Spine CT · sagittal view · 474 mm across the image · 18 vertebrae labeled in this scan
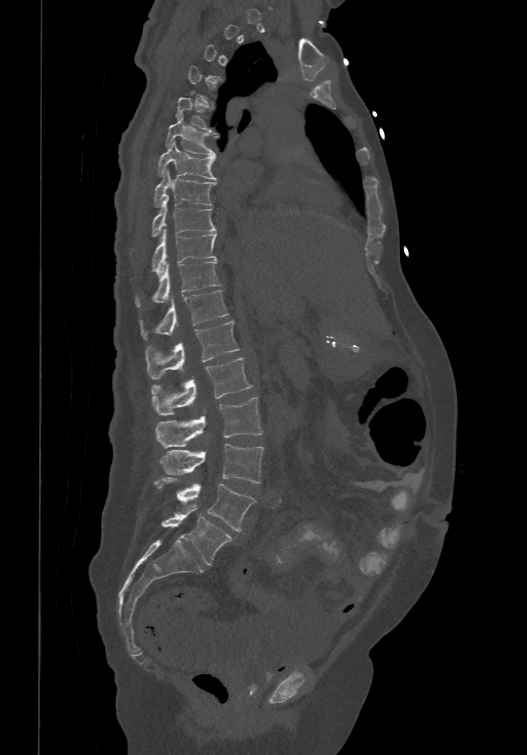
Boxes: x1 y1 x2 y2 (pixel coords, space-separated).
A vertebra is boxed only from the first to the last slice where its cross-section is at least a third of its largest; slices outside that range leave it without a box.
The labels name a sixth lumbar vertebra for this spine: L6, after L5.
Vertebra bounding boxes:
- T5: 175 96 217 133
- T6: 166 116 218 156
- T7: 157 141 217 179
- T8: 153 168 216 205
- T9: 130 194 216 253
- T10: 151 228 217 273
- T11: 135 258 221 306
- T12: 139 288 229 339
- L1: 145 320 240 378
- L2: 151 356 252 415
- L3: 155 397 262 447
- L4: 158 444 263 483
- L5: 154 477 255 531
- L6: 160 508 233 564